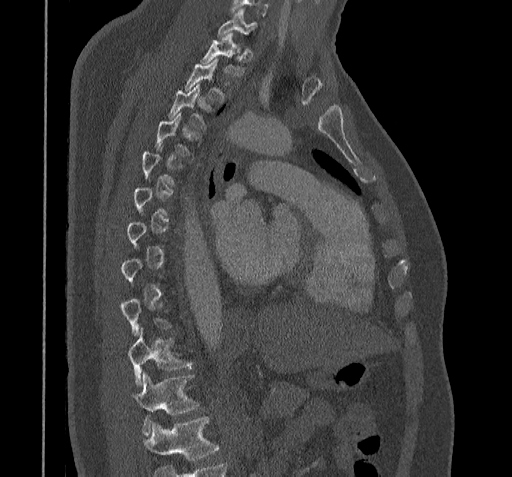
Spine CT. sagittal reformat. bone window. 512x477 px
Each box given as x1,y1,x2,y2. A vertebra gets a box only on the slices from the first to the last where its cross-section is at least a third of its largest; on a slice outside that range it gets none. No box is given to a vertebra that the bottom edge of the scan cuts off. 7 vertebrae labeled — T11 at x1=135, y1=374, x2=197, y2=435; T10 at x1=128, y1=328, x2=193, y2=385; T4 at x1=154, y1=113, x2=199, y2=156; T3 at x1=168, y1=84, x2=210, y2=129; T2 at x1=184, y1=59, x2=224, y2=102; T1 at x1=200, y1=33, x2=244, y2=76; C7 at x1=217, y1=9, x2=256, y2=38.